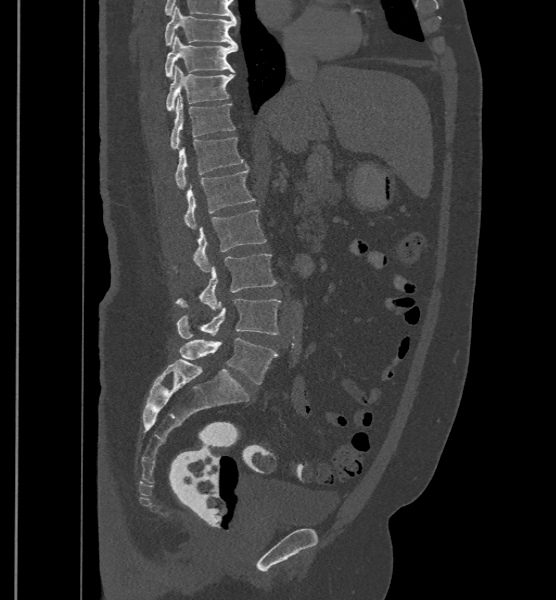
Spine computed tomography; sagittal view; image 500 mm wide
Boxes below are [x1, y1, x2, y2] in pixels.
These labels give the spine a sixth lumbar vertebra, L6, below L5.
{"vertebrae":{"T9":[165,6,237,45],"T10":[165,35,237,77],"T11":[166,66,233,111],"T12":[170,96,234,149],"L1":[175,137,245,188],"L2":[183,168,255,229],"L3":[174,210,266,271],"L4":[175,253,277,309],"L5":[177,298,280,339],"L6":[179,338,277,383]}}